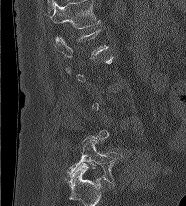
CT · sagittal view · bone window · 186 mm across the image

Each box given as x1,y1,x2,y2. A vertebra is boxed only from the first to the last slice where its cross-section is at least a third of its largest; slices outside that range leave it without a box. Labels in this scan begin with L1 at the top and end with L5 at the bottom. 2 vertebrae labeled — L5 at x1=67, y1=136, x2=122, y2=182; L1 at x1=56, y1=29, x2=108, y2=57.